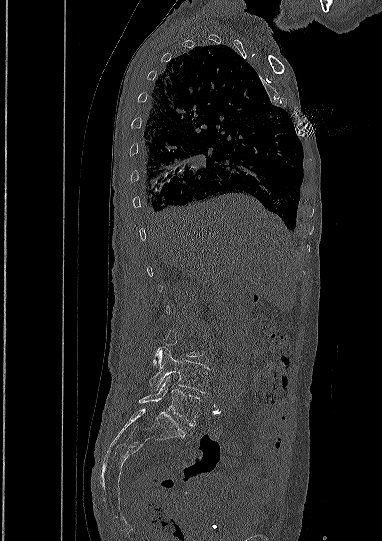
CT, spine; sagittal view; Bone window (WL 400, WW 1800)
Coordinates as <box>x1,y1,x2,y2</box>.
Not every vertebra on this slice has a box: a vertebra is boxed only from the first to the last slice where its cross-section is at least a third of its largest, and this slice is outside that range for at least one of them.
L4: <box>149,347,209,393</box>
L5: <box>139,376,201,425</box>